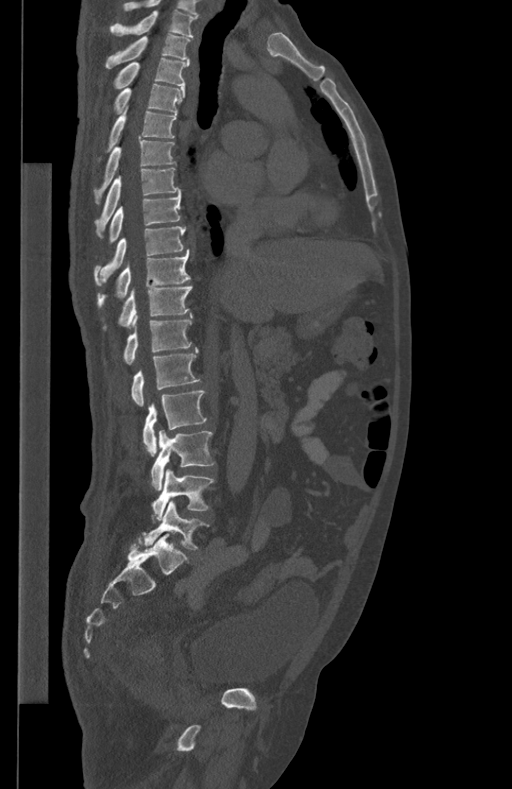
Spine computed tomography. sagittal view. image width 434 mm. bone window

Boxes are (x1, y1, x2, y2) in pixels. Vertebrae labeled: T1 at (110, 10, 197, 36), T2 at (105, 34, 191, 68), T3 at (114, 57, 189, 88), T4 at (113, 84, 184, 113), T5 at (106, 106, 176, 151), T6 at (94, 140, 175, 203), T7 at (95, 167, 179, 237), T8 at (108, 190, 181, 244), T9 at (94, 226, 185, 286), T10 at (98, 252, 190, 307), T11 at (104, 287, 191, 329), T12 at (124, 312, 193, 364), L1 at (131, 347, 201, 406), L2 at (143, 390, 207, 456), L3 at (151, 430, 215, 490), L4 at (152, 469, 214, 520), L5 at (144, 501, 209, 550).